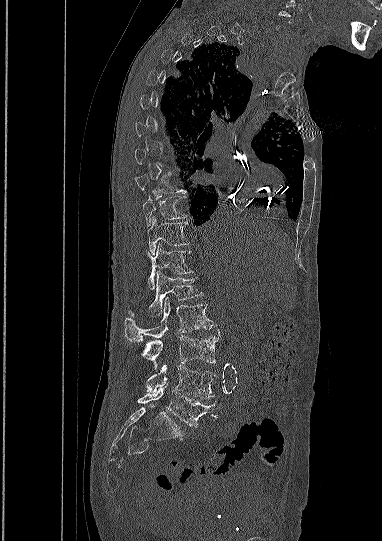

CT, spine. sagittal view. 382x541 px. Boxes: x1:y1:x2:y2 in pixels. A vertebra is boxed only from the first to the last slice where its cross-section is at least a third of its largest; slices outside that range leave it without a box. The labeled vertebrae in this slice are: L5 at 137:386:214:426, L4 at 146:364:215:398, L3 at 141:335:218:369, L2 at 125:297:213:342, L1 at 133:273:202:316, T12 at 148:245:192:289, T11 at 147:217:189:253, T10 at 142:197:186:225, T9 at 133:173:185:193.